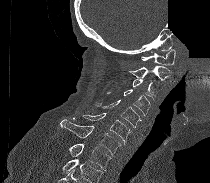
CT spine. sagittal reformat. Bone window (WL 400, WW 1800). a region of this slice is masked with a uniform fill
Boxes below are [x1, y1, x2, y2] in pixels.
Where the bottom of the scan cuts through a vertebra, that vertebra gets no label or box.
{"vertebrae":{"C1":[141,49,175,65],"C2":[128,66,170,81],"C3":[132,78,162,100],"C4":[107,89,150,115],"C5":[94,100,142,127],"C6":[83,113,131,145],"C7":[60,119,121,155],"T1":[68,143,111,171]}}